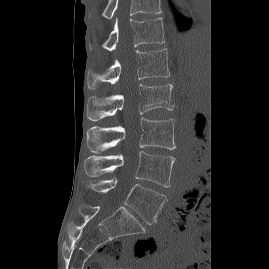
CT · sagittal view · 269 mm image width · bone window · 269x269 px
Box values are [left, top, right, bottom] in pixels.
The highest labeled vertebra in this scan is T12; the lowest is L5.
{"vertebrae":{"T12":[89,18,164,51],"L1":[86,48,169,89],"L2":[85,84,173,121],"L3":[86,118,175,153],"L4":[84,151,175,187],"L5":[85,178,167,224]}}